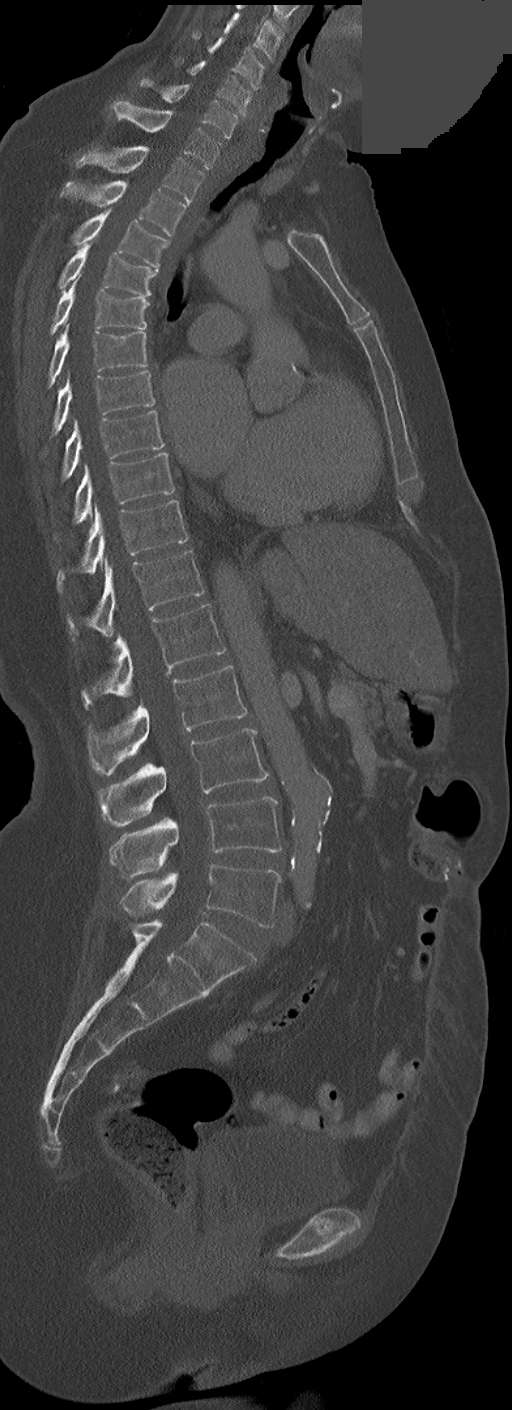 CT spine. sagittal view. 512x1410 px. part of the image is a flat gray fill, not anatomy
In these labels the spine has no T12: the thoracic vertebrae end at T11, and L1 comes next.
<vertebrae><v name="C3" x1="224" y1="12" x2="282" y2="60"/><v name="C4" x1="208" y1="37" x2="264" y2="89"/><v name="C5" x1="187" y1="61" x2="251" y2="117"/><v name="C6" x1="141" y1="78" x2="237" y2="138"/><v name="C7" x1="112" y1="100" x2="221" y2="168"/><v name="T1" x1="76" y1="147" x2="203" y2="203"/><v name="T2" x1="61" y1="181" x2="186" y2="235"/><v name="T3" x1="72" y1="210" x2="168" y2="270"/><v name="T4" x1="57" y1="244" x2="156" y2="296"/><v name="T5" x1="51" y1="275" x2="148" y2="333"/><v name="T6" x1="48" y1="324" x2="146" y2="387"/><v name="T7" x1="53" y1="370" x2="154" y2="434"/><v name="T8" x1="61" y1="411" x2="164" y2="479"/><v name="T9" x1="74" y1="452" x2="174" y2="524"/><v name="T10" x1="57" y1="500" x2="188" y2="591"/><v name="T11" x1="68" y1="551" x2="203" y2="637"/><v name="L1" x1="82" y1="604" x2="225" y2="707"/><v name="L2" x1="88" y1="665" x2="247" y2="776"/><v name="L3" x1="98" y1="728" x2="268" y2="826"/><v name="L4" x1="110" y1="797" x2="282" y2="879"/><v name="L5" x1="120" y1="864" x2="280" y2="928"/></vertebrae>